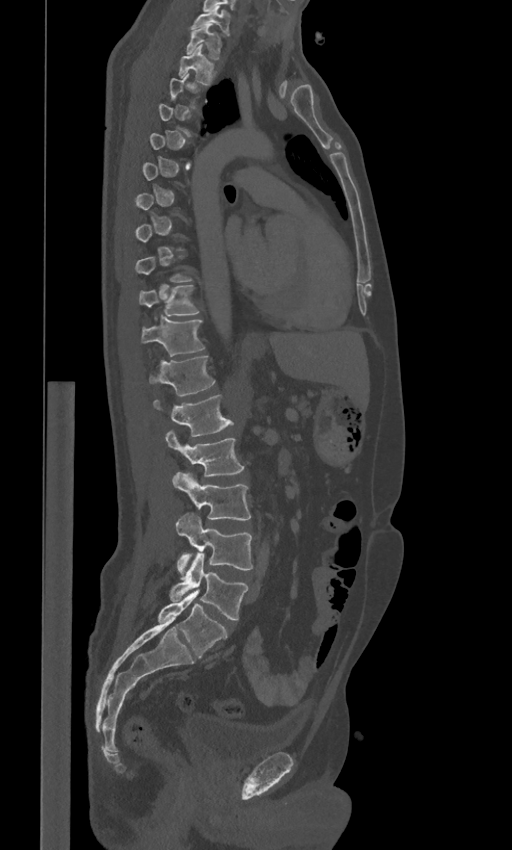
CT; sagittal view; W/L 1800/400 HU
Each box given as x1,y1,x2,y2.
Each vertebra is boxed only on the slices from the first to the last where its cross-section reaches a third of its largest, so a slice outside that range leaves it unboxed.
The labels name a sixth lumbar vertebra for this spine: L6, after L5.
C7: x1=192, y1=9, x2=230, y2=35
T1: x1=186, y1=24, x2=221, y2=59
T2: x1=178, y1=45, x2=214, y2=85
T10: x1=139, y1=285, x2=199, y2=316
T11: x1=141, y1=316, x2=205, y2=356
T12: x1=149, y1=355, x2=215, y2=395
L1: x1=154, y1=394, x2=232, y2=436
L2: x1=165, y1=431, x2=244, y2=476
L3: x1=172, y1=472, x2=251, y2=519
L4: x1=176, y1=513, x2=252, y2=574
L5: x1=170, y1=553, x2=247, y2=620
L6: x1=158, y1=590, x2=227, y2=658